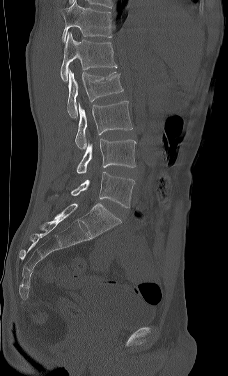

CT spine — sagittal view — Bone window (WL 400, WW 1800) — the image is 228 mm wide. Each box given as x1,y1,x2,y2.
The highest labeled vertebra in this scan is L1; the lowest is L5.
L1: x1=60, y1=32, x2=117, y2=81
L2: x1=67, y1=69, x2=123, y2=118
L3: x1=75, y1=101, x2=132, y2=149
L4: x1=76, y1=139, x2=136, y2=173
L5: x1=55, y1=172, x2=134, y2=207